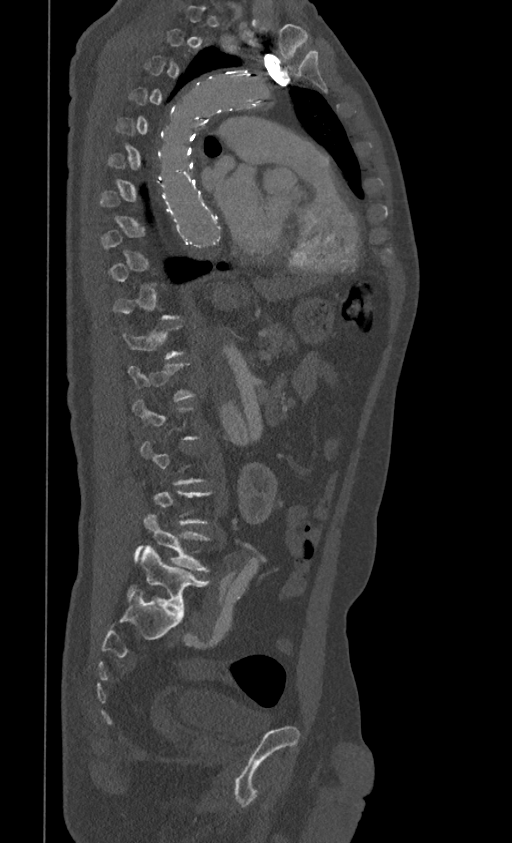 CT, spine. 399 mm across the image. sagittal view
Box values are [left, top, right, bottom] in pixels.
A vertebra is boxed only from the first to the last slice where its cross-section is at least a third of its largest; slices outside that range leave it without a box.
{"vertebrae":{"L4":[135,513,209,572],"L5":[126,545,208,615]}}